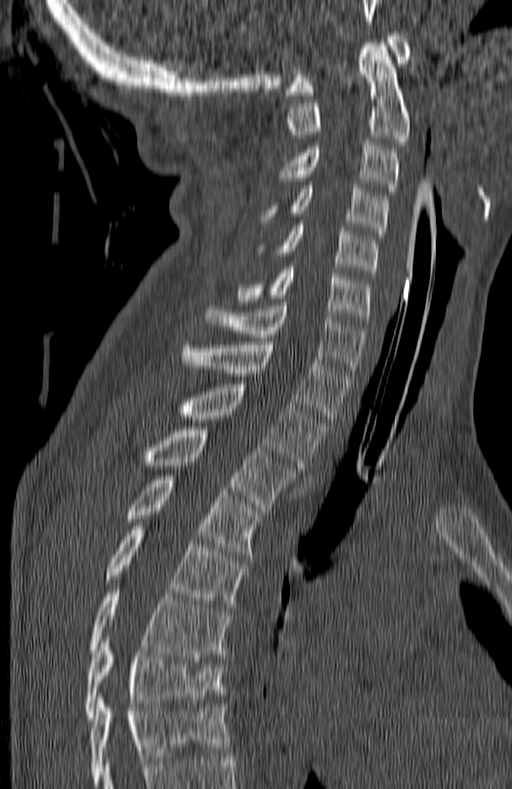

CT · the image spans 180 mm across · sagittal reformat · W/L 1800/400 HU
Box values are [left, top, right, bottom] in pixels.
Labels in this scan begin with C1 at the top and end with T7 at the bottom.
{"vertebrae":{"T7":[83,640,225,721],"T6":[89,590,230,660],"T5":[106,526,245,607],"T4":[123,476,259,557],"T3":[137,427,296,511],"T2":[177,384,324,468],"T1":[181,341,350,422],"C7":[206,302,364,376],"C6":[240,267,370,319],"C5":[256,224,378,276],"C4":[260,185,387,237],"C3":[280,142,398,195],"C2":[288,43,410,145],"C1":[286,32,409,95]}}